CT — sagittal plane, index 279 — Bone window (WL 400, WW 1800) — 613x1182 px
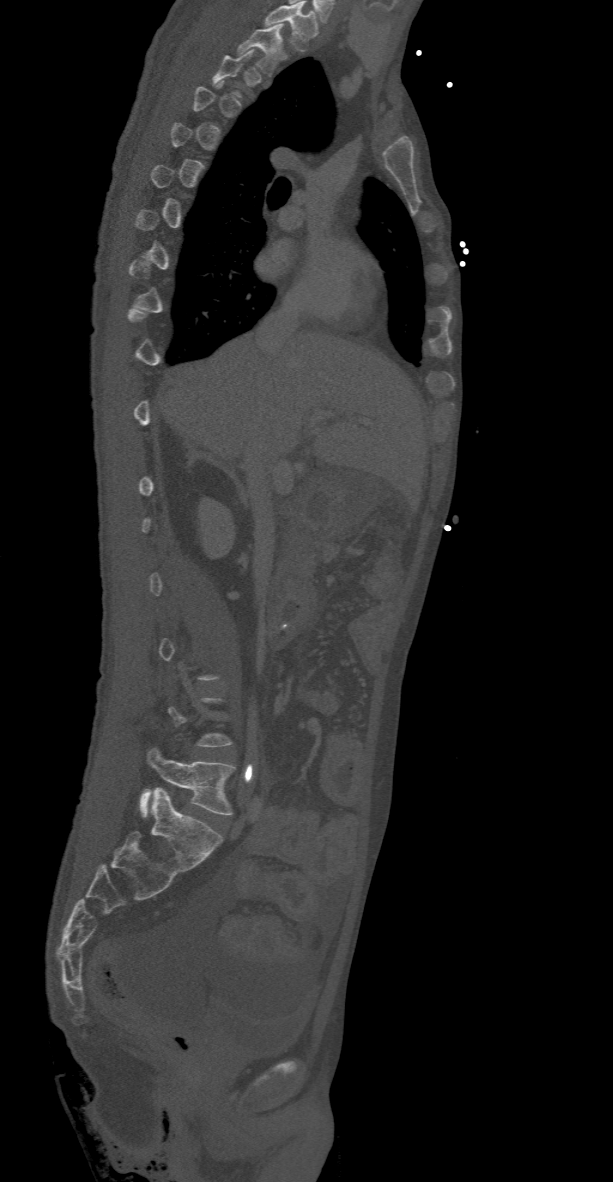 Boxes below are [x1, y1, x2, y2] in pixels.
Each vertebra is boxed only on the slices from the first to the last where its cross-section reaches a third of its largest, so a slice outside that range leaves it unboxed.
In this scan, the topmost labeled vertebra is T2 and the lowest is L5.
{"vertebrae":{"T2":[237,24,288,77],"L5":[140,747,235,815]}}